CT, spine — Sagittal slice 226/512 — bone window
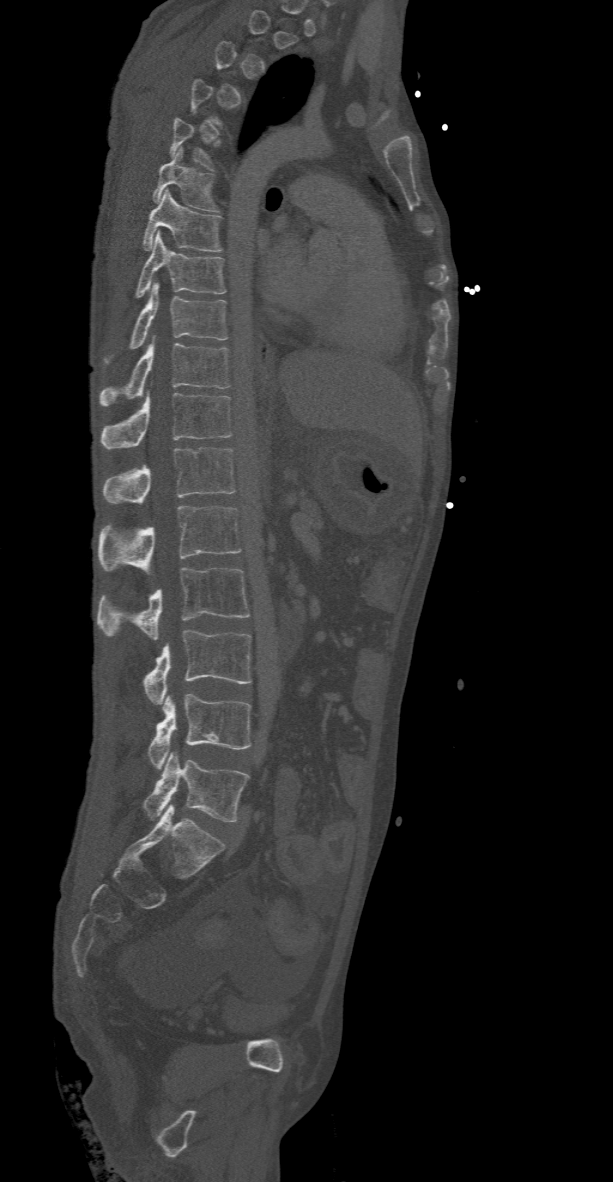 Boxes: x1:y1:x2:y2 in pixels.
Each vertebra is boxed only on the slices from the first to the last where its cross-section reaches a third of its largest, so a slice outside that range leaves it unboxed.
Vertebra bounding boxes:
- T6: 153:147:217:211
- T7: 143:191:221:251
- T8: 134:231:225:296
- T9: 107:281:227:361
- T10: 99:336:229:405
- T11: 99:391:233:448
- T12: 103:447:235:506
- L1: 98:506:241:576
- L2: 96:567:248:640
- L3: 143:631:251:705
- L4: 149:694:251:768
- L5: 143:751:248:821